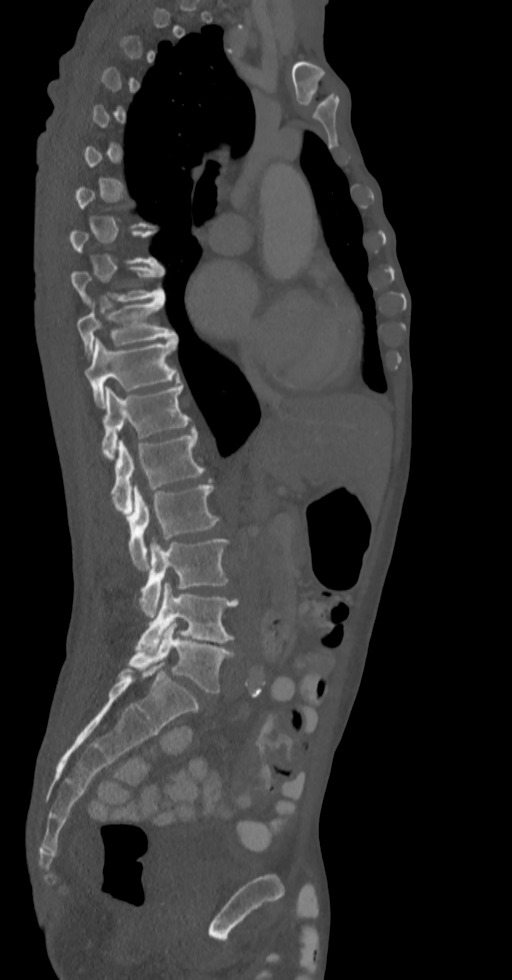
CT spine. sagittal view. Bone window (WL 400, WW 1800). 512x980 px. Boxes are given in columns x1, y1, x2, y2, the pixel coordinates of their top-left and bottom-right corners.
A vertebra is boxed only from the first to the last slice where its cross-section is at least a third of its largest; slices outside that range leave it without a box.
| vertebra | x1 | y1 | x2 | y2 |
|---|---|---|---|---|
| T9 | 71 | 265 | 165 | 304 |
| T10 | 77 | 296 | 175 | 356 |
| T11 | 85 | 338 | 179 | 407 |
| T12 | 102 | 384 | 189 | 459 |
| L1 | 111 | 430 | 204 | 514 |
| L2 | 128 | 485 | 220 | 569 |
| L3 | 139 | 539 | 229 | 618 |
| L4 | 137 | 582 | 238 | 651 |
| L5 | 129 | 622 | 233 | 694 |